CT, spine — sagittal plane, index 138 — Bone window (WL 400, WW 1800) — 317x559 px — scan covers 18 annotated vertebrae
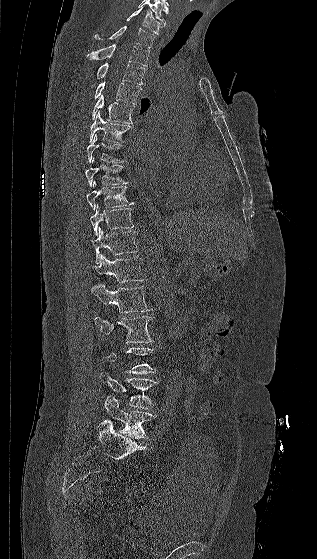 <vertebrae><v name="L5" x1="103" y1="396" x2="156" y2="439"/><v name="L4" x1="100" y1="372" x2="158" y2="408"/><v name="L3" x1="107" y1="347" x2="156" y2="373"/><v name="L2" x1="94" y1="315" x2="154" y2="343"/><v name="L1" x1="91" y1="284" x2="151" y2="312"/><v name="T12" x1="92" y1="253" x2="144" y2="282"/><v name="T11" x1="92" y1="227" x2="138" y2="263"/><v name="T10" x1="90" y1="204" x2="134" y2="235"/><v name="T9" x1="86" y1="180" x2="135" y2="210"/><v name="T8" x1="85" y1="157" x2="128" y2="186"/><v name="T7" x1="87" y1="134" x2="126" y2="163"/><v name="T6" x1="89" y1="111" x2="132" y2="142"/><v name="T5" x1="92" y1="94" x2="135" y2="123"/><v name="T4" x1="94" y1="81" x2="141" y2="104"/><v name="T3" x1="97" y1="62" x2="145" y2="84"/><v name="T2" x1="86" y1="44" x2="149" y2="66"/><v name="T1" x1="94" y1="25" x2="155" y2="48"/><v name="C7" x1="126" y1="7" x2="163" y2="34"/></vertebrae>